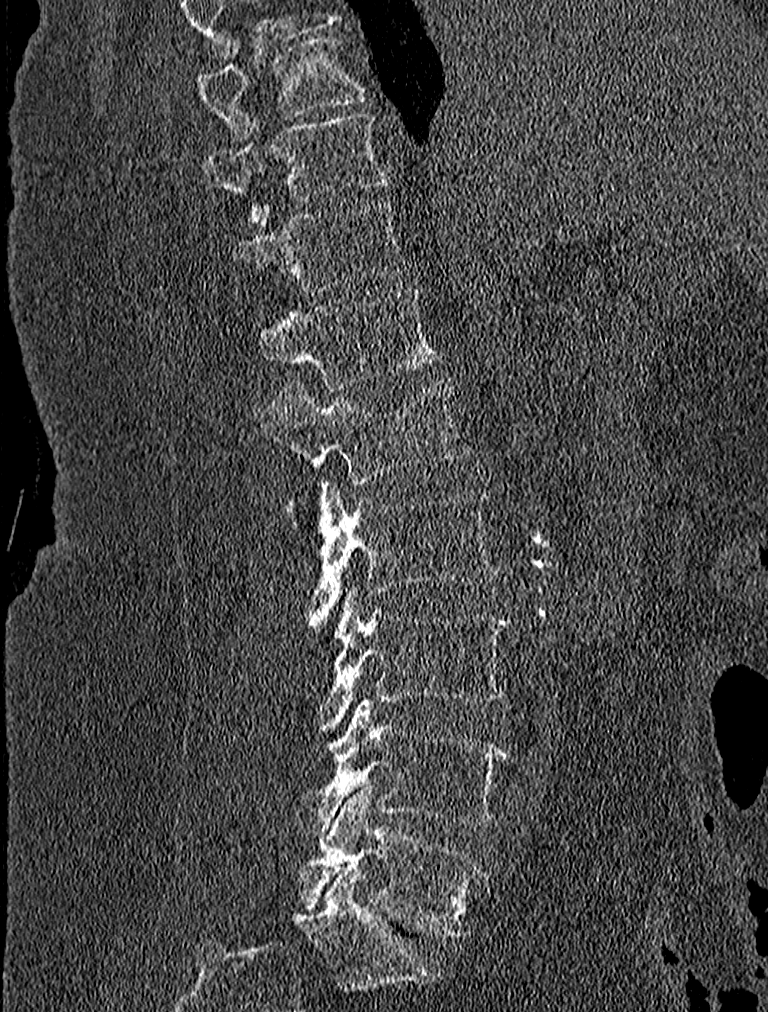
CT; image 227 mm wide; sagittal view; 768x1012 px

Boxes: x1 y1 x2 y2 (pixel coords, space-separated).
Vertebra bounding boxes:
- T9: 195 33 367 142
- T10: 205 111 390 221
- T11: 228 199 407 293
- T12: 255 288 441 392
- L1: 259 379 471 512
- L2: 310 481 499 629
- L3: 320 589 509 728
- L4: 295 699 509 838
- L5: 300 787 485 938